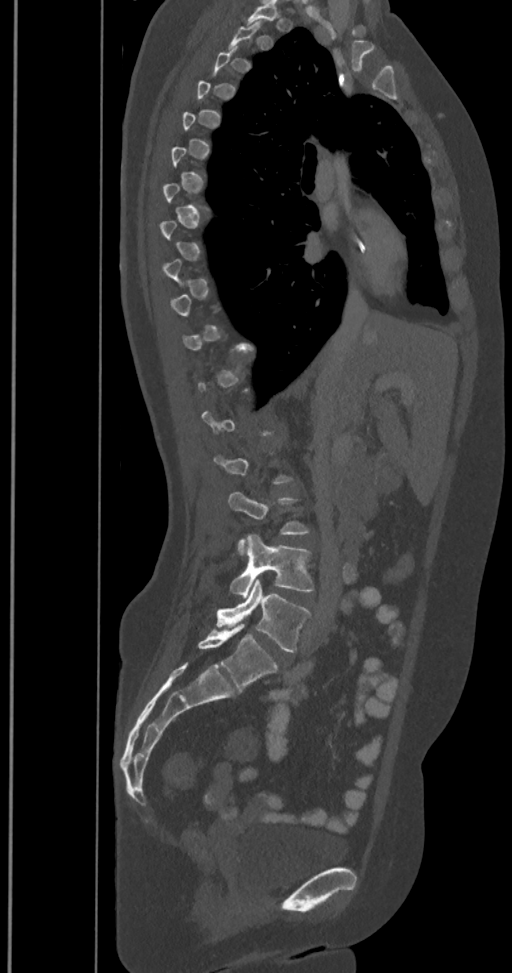
CT spine; image width 350 mm; sagittal view. Each box given as x1,y1,x2,y2.
A vertebra is boxed only from the first to the last slice where its cross-section is at least a third of its largest; slices outside that range leave it without a box.
The labels name a sixth lumbar vertebra for this spine: L6, after L5.
L6: x1=197, y1=624, x2=277, y2=690
L5: x1=216, y1=578, x2=309, y2=652
L4: x1=231, y1=535, x2=313, y2=597